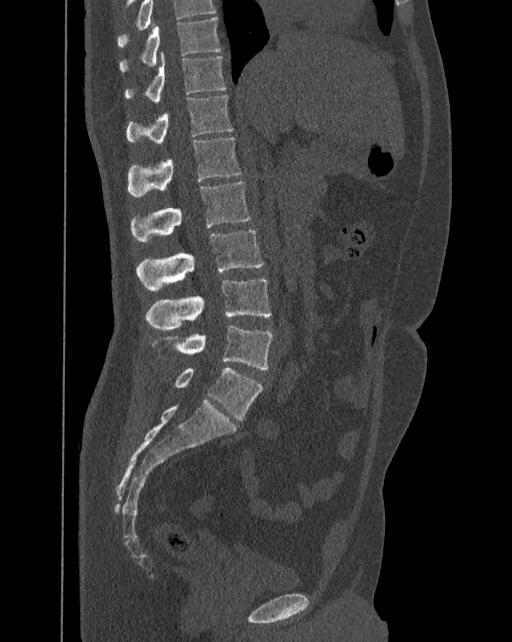 Spine computed tomography; sagittal reformat
In the table, x1 and y1 are a box's top-left corner and x2 and y2 its bottom-right corner, in pixels.
Labels in this scan begin with T10 at the top and end with L6 at the bottom.
In these labels the spine has an L6, a sixth lumbar vertebra below L5.
| vertebra | x1 | y1 | x2 | y2 |
|---|---|---|---|---|
| T10 | 120 | 18 | 221 | 72 |
| T11 | 125 | 53 | 226 | 102 |
| T12 | 127 | 94 | 233 | 145 |
| L1 | 128 | 138 | 240 | 196 |
| L2 | 130 | 181 | 251 | 242 |
| L3 | 136 | 229 | 263 | 291 |
| L4 | 146 | 279 | 271 | 328 |
| L5 | 151 | 324 | 272 | 369 |
| L6 | 174 | 368 | 263 | 420 |